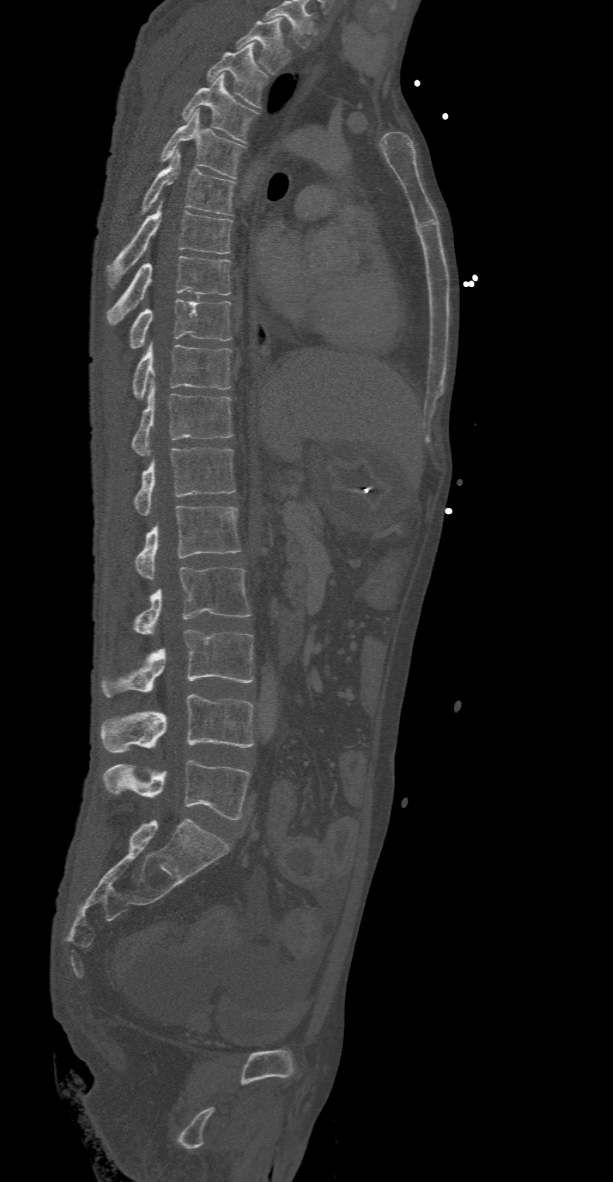

Spine computed tomography; sagittal view; Bone window (WL 400, WW 1800); the image is 368 mm wide. Columns x1, y1, x2, y2 give each box's top-left and bottom-right pixels.
Labels in this scan begin with T2 at the top and end with L5 at the bottom.
| vertebra | x1 | y1 | x2 | y2 |
|---|---|---|---|---|
| L5 | 103 | 759 | 251 | 820 |
| L4 | 99 | 694 | 254 | 753 |
| L3 | 102 | 629 | 254 | 696 |
| L2 | 133 | 567 | 251 | 635 |
| L1 | 134 | 506 | 241 | 580 |
| T12 | 133 | 447 | 235 | 516 |
| T11 | 132 | 381 | 233 | 456 |
| T10 | 132 | 342 | 230 | 398 |
| T9 | 128 | 299 | 230 | 348 |
| T8 | 107 | 256 | 230 | 325 |
| T7 | 107 | 201 | 233 | 288 |
| T6 | 141 | 149 | 235 | 215 |
| T5 | 159 | 109 | 243 | 178 |
| T4 | 181 | 72 | 257 | 143 |
| T3 | 206 | 44 | 267 | 108 |
| T2 | 236 | 19 | 289 | 73 |